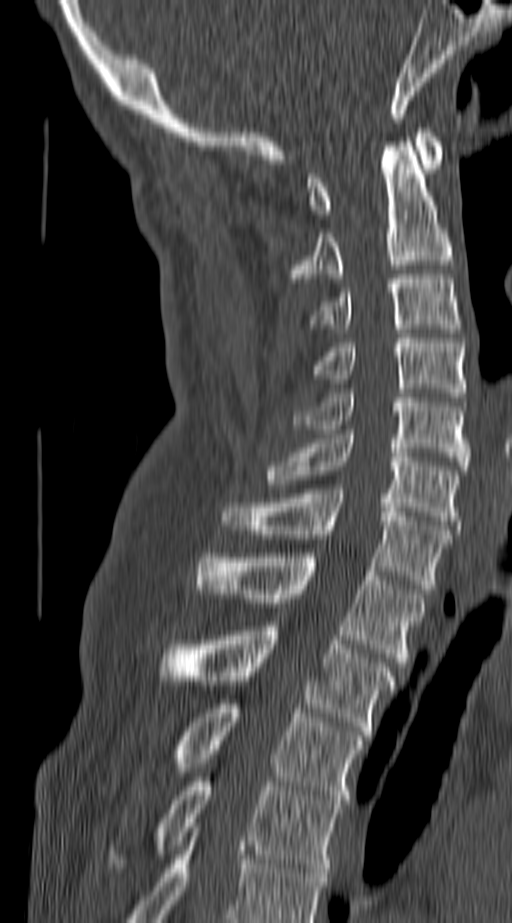 CT. sagittal view. 512x923 px. the image is 140 mm wide
Each box given as x1,y1,x2,y2.
In this scan, the topmost labeled vertebra is C1 and the lowest is T4.
Vertebra bounding boxes:
- C1: x1=309, y1=128, x2=443, y2=218
- C2: x1=290, y1=142, x2=450, y2=278
- C3: x1=312, y1=274, x2=461, y2=328
- C4: x1=309, y1=338, x2=465, y2=397
- C5: x1=294, y1=389, x2=468, y2=470
- C6: x1=266, y1=434, x2=457, y2=529
- C7: x1=221, y1=489, x2=450, y2=589
- T1: x1=195, y1=553, x2=425, y2=666
- T2: x1=159, y1=626, x2=395, y2=735
- T3: x1=173, y1=699, x2=362, y2=804
- T4: x1=111, y1=777, x2=340, y2=872